Computed tomography of the spine — sagittal view — W/L 1800/400 HU — 833x1119 px — scan covers 18 annotated vertebrae
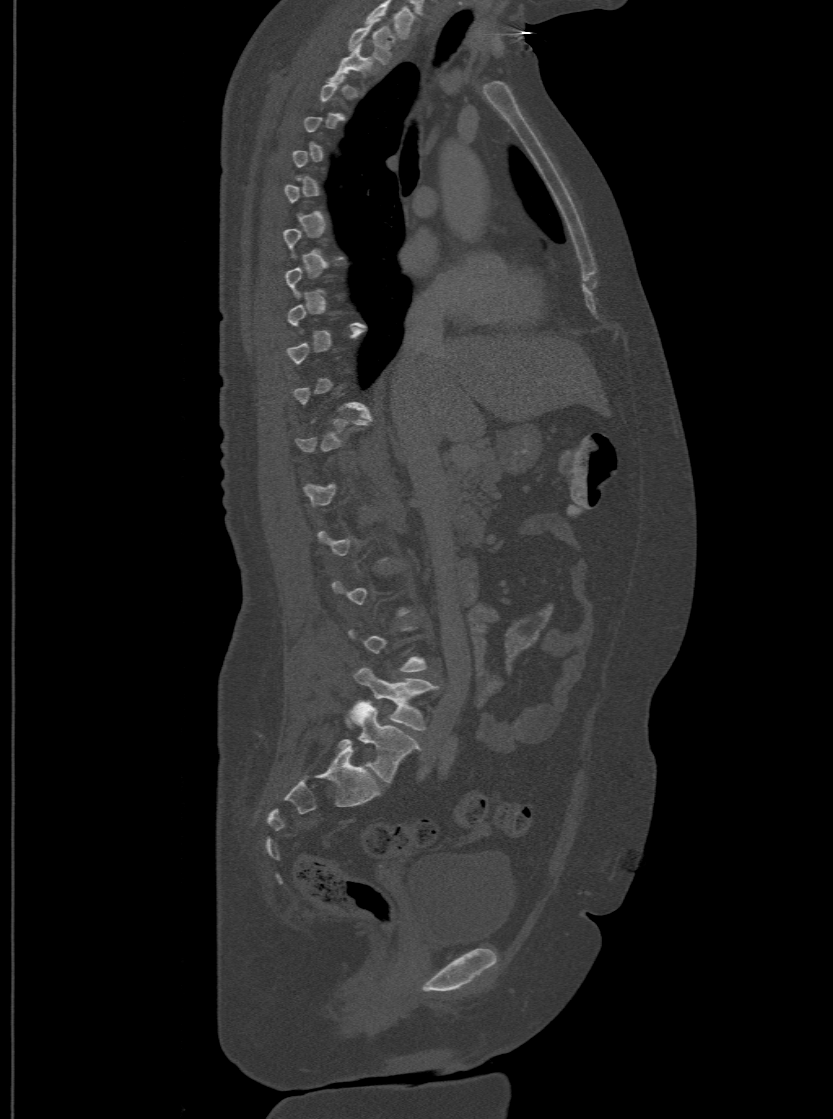 Each box given as x1,y1,x2,y2. Each vertebra is boxed only on the slices from the first to the last where its cross-section reaches a third of its largest, so a slice outside that range leaves it unboxed. Labels in this scan begin with T1 at the top and end with L6 at the bottom. The labels name a sixth lumbar vertebra for this spine: L6, after L5. 4 vertebrae labeled — T1 at x1=348, y1=23, x2=395, y2=62; T2 at x1=330, y1=43, x2=370, y2=79; L5 at x1=347, y1=666, x2=437, y2=730; L6 at x1=339, y1=701, x2=419, y2=782.